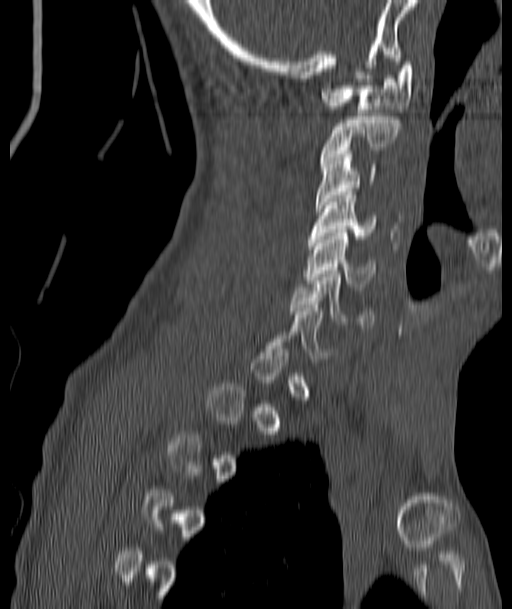 Spine CT. sagittal view
Each box given as x1,y1,x2,y2.
Each vertebra is boxed only on the slices from the first to the last where its cross-section reaches a third of its largest, so a slice outside that range leaves it unboxed.
| vertebra | x1 | y1 | x2 | y2 |
|---|---|---|---|---|
| C6 | 291 | 270 | 374 | 328 |
| C5 | 305 | 229 | 376 | 286 |
| C4 | 309 | 192 | 378 | 242 |
| C3 | 316 | 147 | 375 | 211 |
| C2 | 321 | 113 | 400 | 163 |
| C1 | 321 | 62 | 413 | 112 |